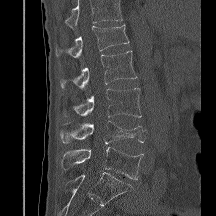
CT spine. sagittal reformat. image 216 mm wide
Each vertebra maps to its box as [x1, y1, x2, y2], the pixel coordinates of its top-left and bottom-right corners.
A vertebra cut off by the top edge of the scan is not labeled and has no box.
{"vertebrae":{"L1":[56,24,129,57],"L2":[60,51,137,89],"L3":[63,88,141,117],"L4":[59,121,147,143],"L5":[61,147,143,179]}}